Spine computed tomography — sagittal view — bone window — 164 mm wide — 164x404 px
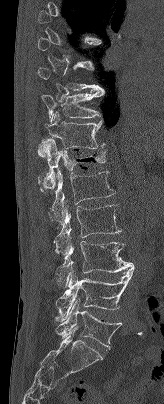
Boxes are (x1, y1, x2, y2) in pixels.
A vertebra gets a box only on the slices from the first to the last where its cross-section is at least a third of its largest; on a slice outside that range it gets none.
T10: (41, 90, 104, 122)
T11: (37, 111, 105, 156)
T12: (37, 139, 106, 192)
L1: (48, 168, 114, 224)
L2: (53, 205, 121, 253)
L3: (56, 237, 134, 287)
L4: (56, 268, 135, 320)
L5: (55, 300, 122, 348)